CT · image width 146 mm · Sagittal slice 64/145 · 146x164 px · 8 vertebrae labeled in this scan
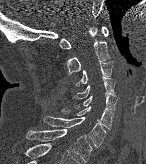 Boxes: x1:y1:x2:y2 in pixels.
Vertebra bounding boxes:
- C1: 60:26:108:49
- C2: 66:25:109:74
- C3: 76:62:112:85
- C4: 72:77:114:99
- C5: 75:94:117:110
- C6: 61:105:113:129
- C7: 42:116:106:147
- T1: 26:128:92:162